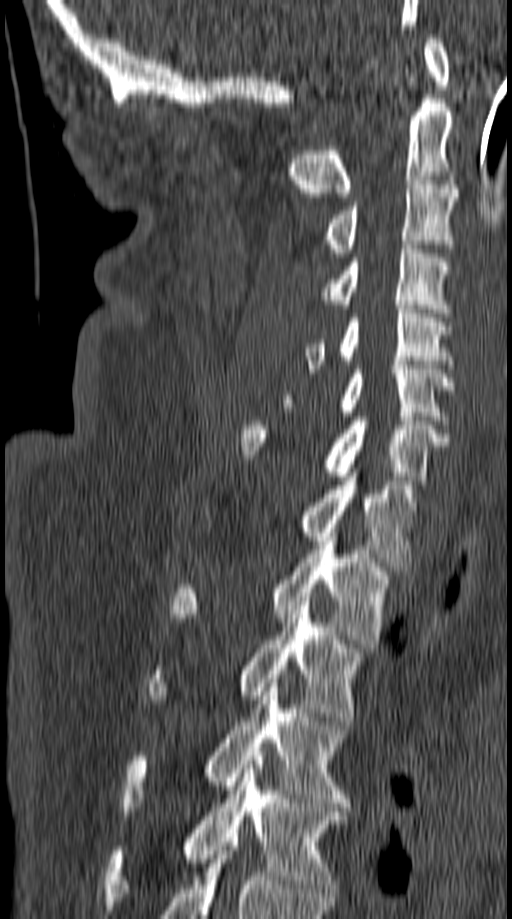 CT spine · sagittal view · 512x919 px
<vertebrae><v name="T5" x1="105" y1="760" x2="346" y2="910"/><v name="T4" x1="118" y1="683" x2="351" y2="815"/><v name="T3" x1="146" y1="597" x2="364" y2="721"/><v name="T2" x1="170" y1="537" x2="389" y2="648"/><v name="T1" x1="300" y1="477" x2="417" y2="566"/><v name="C7" x1="241" y1="417" x2="448" y2="484"/><v name="C6" x1="282" y1="365" x2="454" y2="420"/><v name="C5" x1="304" y1="305" x2="453" y2="373"/><v name="C4" x1="321" y1="245" x2="450" y2="313"/><v name="C3" x1="324" y1="180" x2="457" y2="257"/><v name="C2" x1="290" y1="77" x2="454" y2="197"/><v name="C1" x1="424" y1="34" x2="450" y2="85"/></vertebrae>